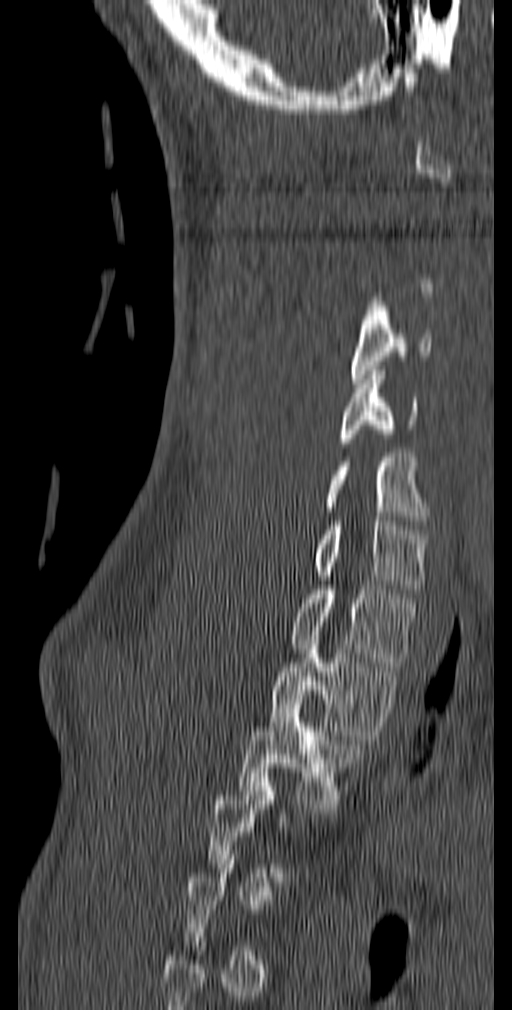
Spine CT; sagittal view; the image spans 140 mm across
Bounding boxes as [x1, y1, x2, y2] in pixel coordinates.
Each vertebra is boxed only on the slices from the first to the last where its cross-section reaches a third of its largest, so a slice outside that range leaves it unboxed.
T3: [237, 695, 363, 808]
T2: [270, 645, 402, 740]
T1: [289, 585, 417, 666]
C7: [316, 521, 428, 593]
C6: [322, 453, 428, 525]
C5: [338, 366, 418, 447]
C4: [351, 306, 432, 383]